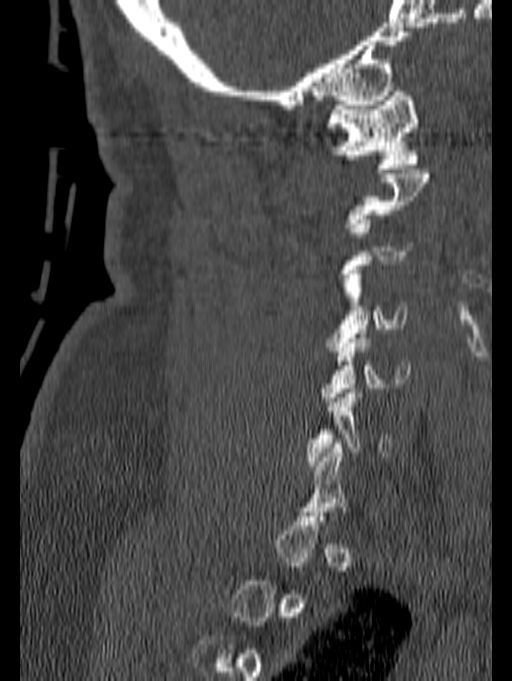
Spine CT; sagittal view
Boxes are (x1, y1, x2, y2) in pixels. A vertebra is boxed only from the first to the last slice where its cross-section is at least a third of its largest; slices outside that range leave it without a box. The labeled vertebrae in this slice are: C1 at (326, 91, 419, 173), C4 at (325, 270, 407, 351), C5 at (319, 334, 410, 406), C6 at (305, 384, 392, 470).